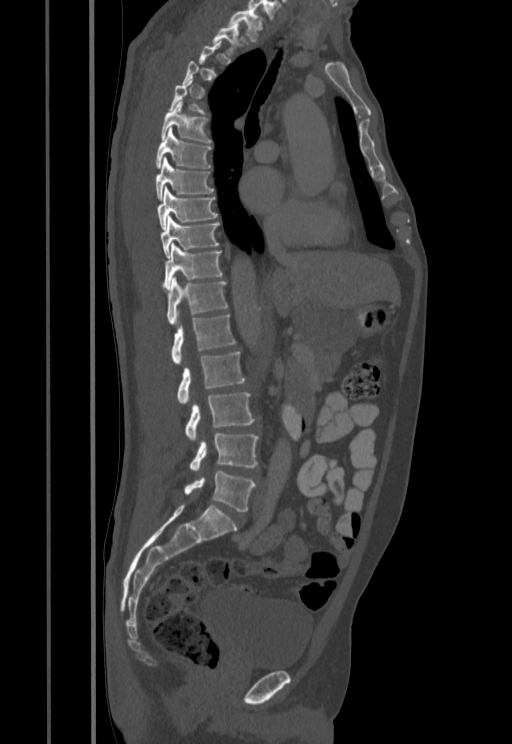
CT — sagittal view — bone window — 512x744 px
Boxes: x1:y1:x2:y2 in pixels.
A vertebra is boxed only from the first to the last slice where its cross-section is at least a third of its largest; slices outside that range leave it without a box.
T1: 228:8:263:41
T2: 213:21:240:54
T6: 161:101:212:144
T7: 155:128:210:168
T8: 155:156:213:200
T9: 157:187:217:228
T10: 161:217:218:256
T11: 163:243:222:290
T12: 166:277:227:324
L1: 171:314:235:363
L2: 177:352:245:403
L3: 186:392:255:441
L4: 189:432:258:470
L5: 184:471:255:511